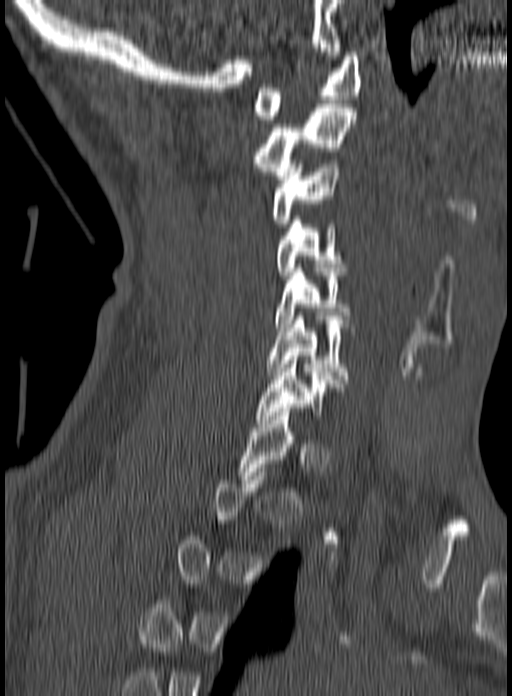

CT spine. sagittal view. W/L 1800/400 HU
Box values are [left, top, right, bottom] in pixels.
A vertebra is boxed only from the first to the last slice where its cross-section is at least a third of its largest; slices outside that range leave it without a box.
{"vertebrae":{"C7":[256,356,327,423],"C6":[266,316,354,383],"C5":[276,272,350,331],"C4":[276,216,345,279],"C3":[273,160,339,227],"C2":[254,104,355,183],"C1":[254,52,362,119]}}